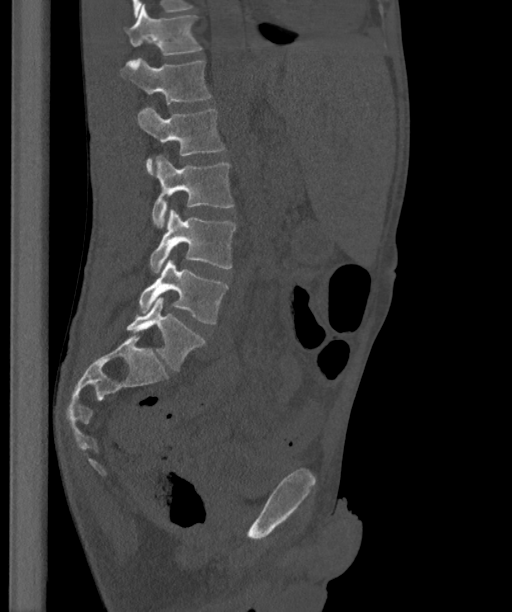

Spine computed tomography. sagittal view. 512x612 px. the image spans 363 mm across. Boxes: x1:y1:x2:y2 in pixels. The labels name a sixth lumbar vertebra for this spine: L6, after L5. The labeled vertebrae in this slice are: T12 at 124:4:202:55, L1 at 119:57:212:104, L2 at 137:107:224:175, L3 at 152:155:234:227, L4 at 149:209:236:272, L5 at 138:259:227:323, L6 at 126:297:206:371.